Spine CT · 311 mm across the image · sagittal plane, index 63 · bone window
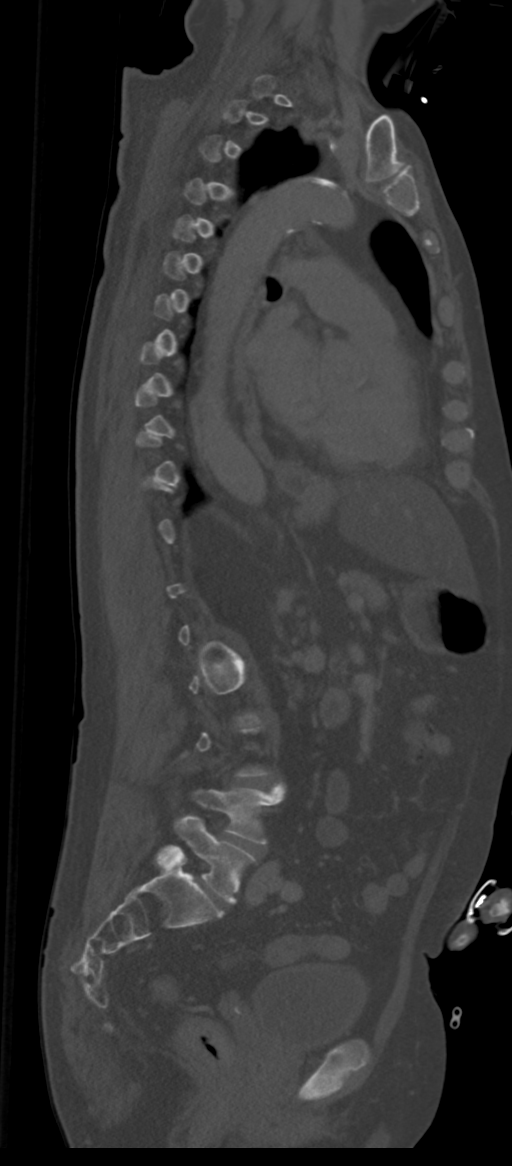

Coordinates as <box>x1,y1,x2,y2</box>. A vertebra is boxed only from the first to the last slice where its cross-section is at least a third of its largest; slices outside that range leave it without a box. The labels name a sixth lumbar vertebra for this spine: L6, after L5. Vertebrae labeled: L5 at <box>195,789,282,844</box>, L6 at <box>158,816,255,903</box>.